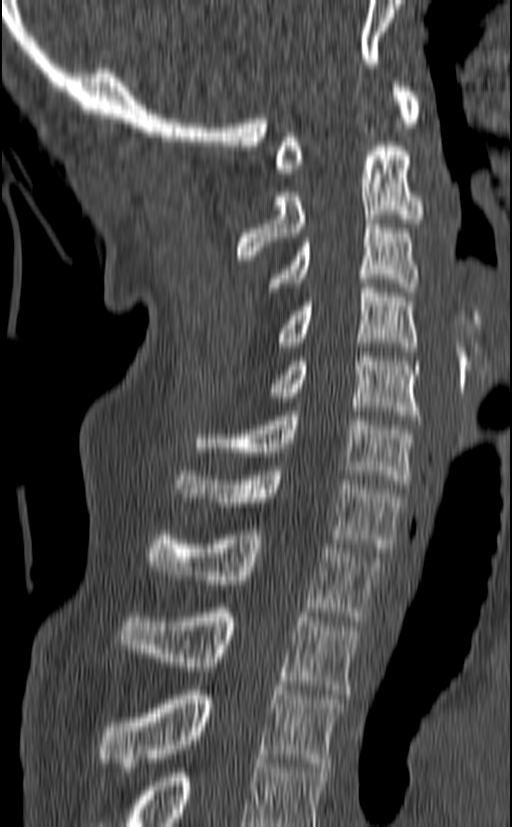
CT, spine. sagittal view. bone window. 512x827 px. Bounding boxes as [x1, y1, x2, y2] in pixel coordinates.
The highest labeled vertebra in this scan is C1; the lowest is T3.
Vertebra bounding boxes:
- C1: [275, 82, 422, 177]
- C2: [237, 146, 424, 260]
- C3: [268, 219, 418, 292]
- C4: [279, 283, 417, 351]
- C5: [268, 352, 421, 420]
- C6: [195, 411, 414, 488]
- C7: [177, 466, 403, 552]
- T1: [148, 530, 381, 621]
- T2: [118, 608, 359, 694]
- T3: [96, 686, 344, 767]